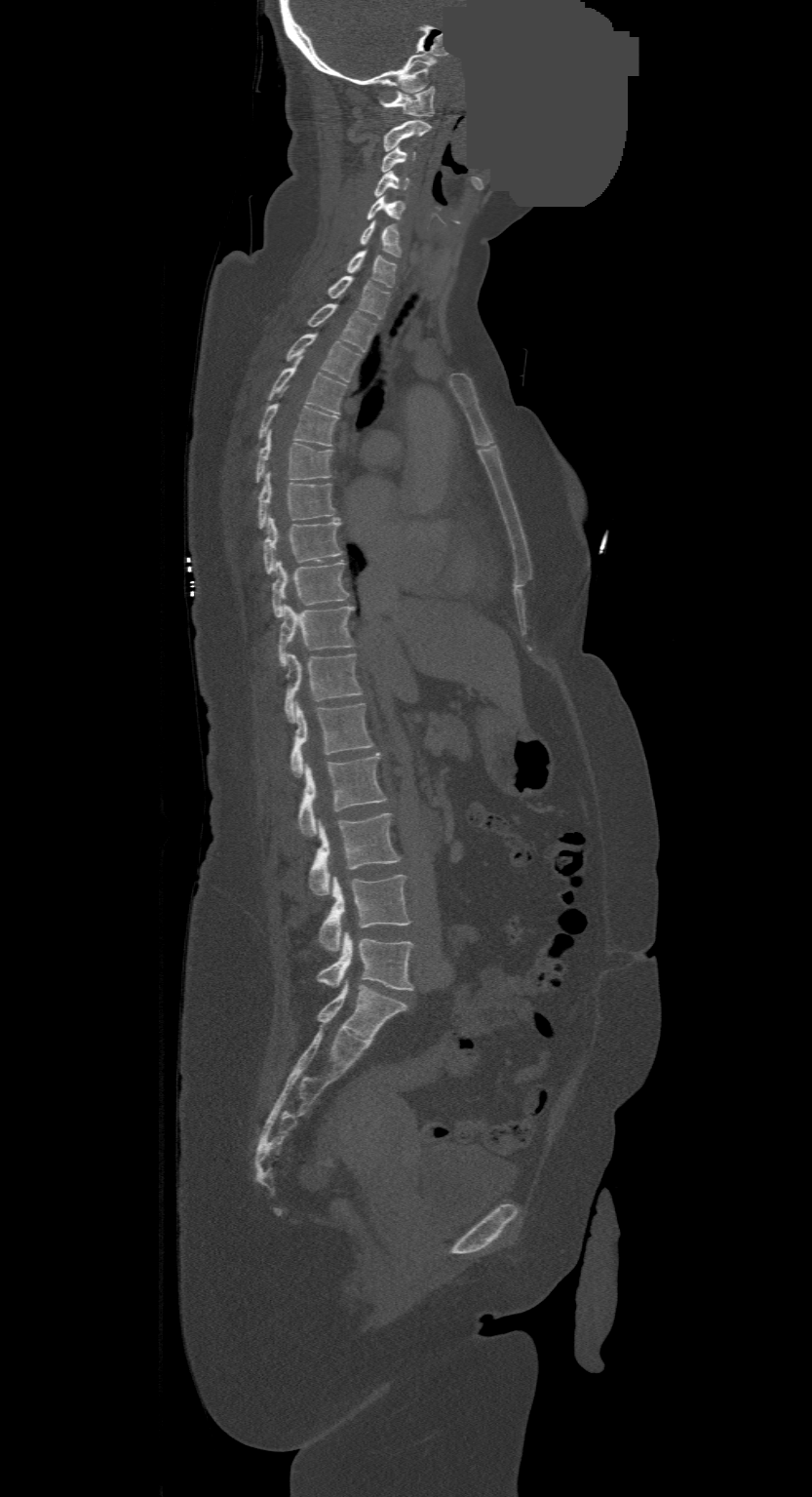
CT — sagittal view — 812x1497 px — an area of the scan was removed and filled with constant pixels
Coordinates as <box>x1,y1,x2,y2</box>. This scan's labels start at C1 at the top and end at L4 at the bottom. Vertebrae labeled: L4 at <box>318,931,413,989</box>, L3 at <box>319,875,410,950</box>, L2 at <box>309,813,401,895</box>, L1 at <box>298,753,386,835</box>, T12 at <box>290,704,373,776</box>, T11 at <box>284,653,361,721</box>, T10 at <box>278,605,353,666</box>, T9 at <box>271,560,348,617</box>, T8 at <box>263,516,342,573</box>, T7 at <box>258,472,333,528</box>, T6 at <box>257,431,332,482</box>, T5 at <box>260,402,337,445</box>, T4 at <box>268,356,345,414</box>, T3 at <box>286,331,359,381</box>, T2 at <box>309,302,376,350</box>, T1 at <box>329,275,389,318</box>, C7 at <box>347,248,396,287</box>, C6 at <box>360,219,401,256</box>, C5 at <box>367,195,406,220</box>, C4 at <box>374,171,408,198</box>, C3 at <box>381,145,414,172</box>, C2 at <box>384,121,431,150</box>, C1 at <box>381,87,434,116</box>.